CT; 394 mm across the image; sagittal view
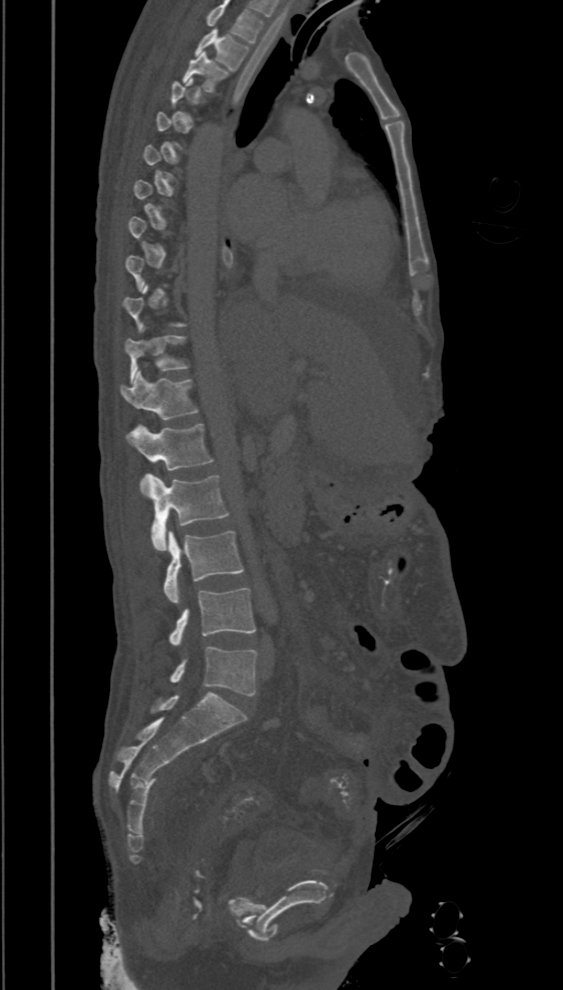 Boxes: x1:y1:x2:y2 in pixels. A vertebra is boxed only from the first to the last slice where its cross-section is at least a third of its largest; slices outside that range leave it without a box. This scan's labels start at T2 at the top and end at L5 at the bottom. 9 vertebrae labeled — T2 at 195:26:249:70; T3 at 182:52:229:92; T11 at 124:330:188:382; T12 at 120:371:199:420; L1 at 125:424:213:471; L2 at 140:474:229:551; L3 at 163:530:243:602; L4 at 168:587:256:645; L5 at 169:646:257:696.